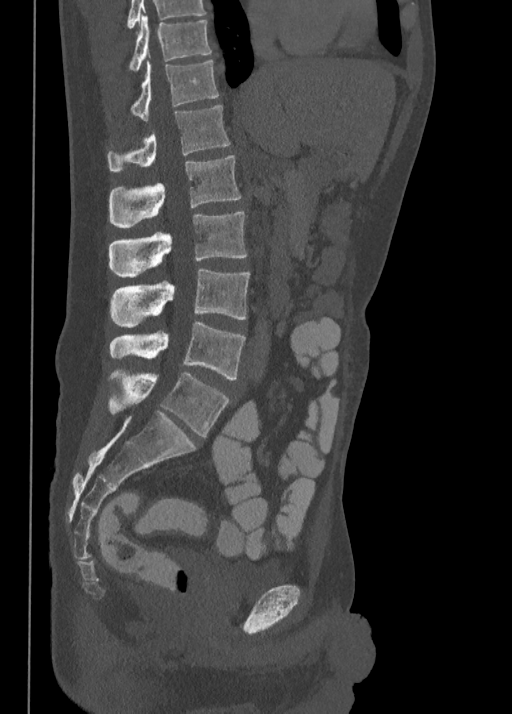 Spine CT. sagittal view. the image spans 350 mm across. 512x714 px

Each box given as x1,y1,x2,y2.
The highest labeled vertebra in this scan is T10; the lowest is L5.
| vertebra | x1 | y1 | x2 | y2 |
|---|---|---|---|---|
| T10 | 128 | 16 | 211 | 70 |
| T11 | 131 | 59 | 218 | 119 |
| T12 | 108 | 105 | 230 | 171 |
| L1 | 108 | 155 | 240 | 227 |
| L2 | 108 | 212 | 246 | 277 |
| L3 | 109 | 269 | 250 | 327 |
| L4 | 109 | 321 | 245 | 379 |
| L5 | 108 | 369 | 230 | 436 |